Spine CT; the image is 180 mm wide; Sagittal slice 291/512
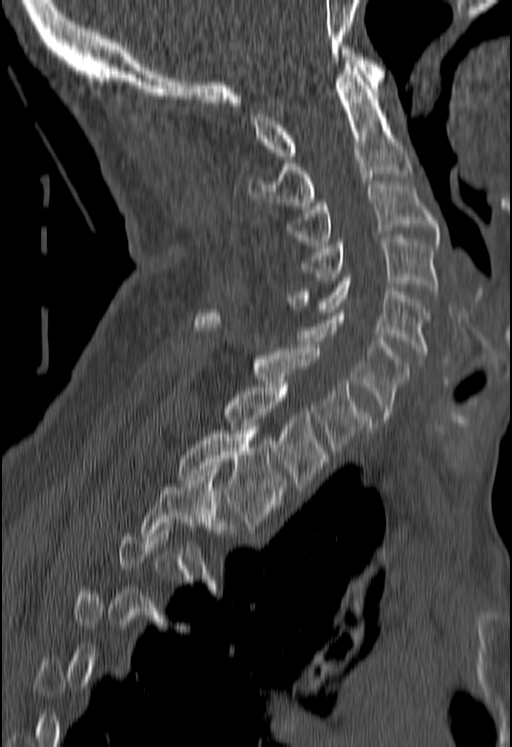

Boxes: x1 y1 x2 y2 (pixel coords, space-separated).
Not every vertebra on this slice has a box: a vertebra is boxed only from the first to the last slice where its cross-section is at least a third of its largest, and this slice is outside that range for at least one of them.
Vertebra bounding boxes:
- C1: 250 46 384 159
- C2: 248 64 412 209
- C3: 285 181 438 244
- C4: 300 238 438 294
- C5: 287 277 429 358
- C6: 300 309 410 422
- C7: 194 313 371 454
- T1: 223 384 327 486
- T2: 177 427 287 525